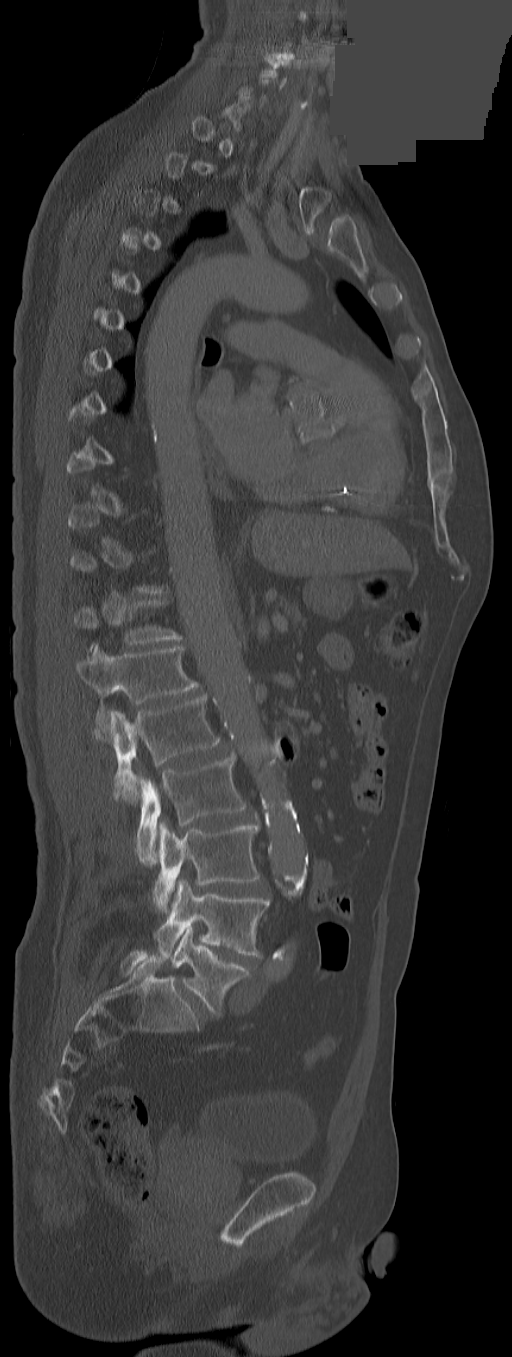 Spine CT. sagittal view. the image spans 291 mm across. a portion of the image is blanked out (constant pixel value)
Each box given as x1,y1,x2,y2.
Not every vertebra on this slice has a box: a vertebra is boxed only from the first to the last slice where its cross-section is at least a third of its largest, and this slice is outside that range for at least one of them.
In these labels the spine has a T13, a thirteenth thoracic vertebra, between T12 and L1.
L5: x1=171, y1=926, x2=251, y2=1015
L4: x1=153, y1=879, x2=270, y2=958
L3: x1=153, y1=822, x2=260, y2=913
L2: x1=132, y1=755, x2=246, y2=865
L1: x1=92, y1=696, x2=219, y2=802
T13: x1=76, y1=646, x2=198, y2=714
T12: x1=74, y1=601, x2=182, y2=644